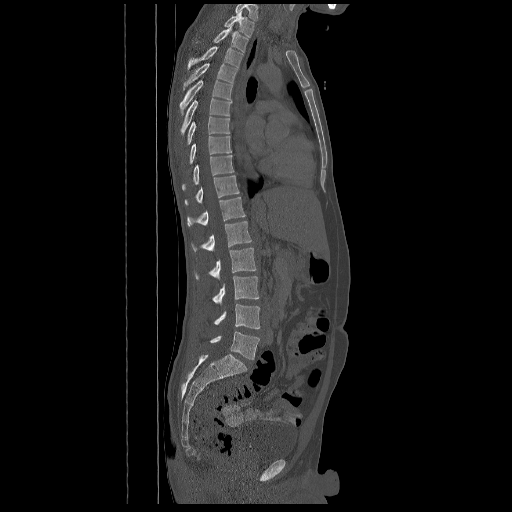

CT spine; 672 mm image width; sagittal view; Bone window (WL 400, WW 1800)
Box edges are left/top/right/bottom in pixels.
The highest labeled vertebra in this scan is T2; the lowest is L5.
| vertebra | x1 | y1 | x2 | y2 |
|---|---|---|---|---|
| T2 | 224 | 12 | 254 | 37 |
| T3 | 196 | 27 | 248 | 52 |
| T4 | 187 | 46 | 243 | 70 |
| T5 | 183 | 63 | 237 | 90 |
| T6 | 180 | 80 | 232 | 115 |
| T7 | 180 | 98 | 231 | 135 |
| T8 | 187 | 116 | 230 | 144 |
| T9 | 189 | 136 | 231 | 164 |
| T10 | 182 | 155 | 234 | 190 |
| T11 | 185 | 175 | 239 | 205 |
| T12 | 187 | 197 | 245 | 226 |
| L1 | 191 | 221 | 251 | 252 |
| L2 | 195 | 248 | 256 | 279 |
| L3 | 212 | 276 | 259 | 304 |
| L4 | 214 | 304 | 259 | 329 |
| L5 | 210 | 331 | 259 | 359 |